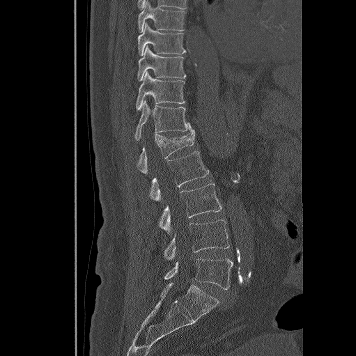
CT. sagittal view. Bone window (WL 400, WW 1800)
Box edges are left/top/right/bottom in pixels. The labeled vertebrae in this slice are: T8 at left=138, top=0, right=186, bottom=32, T9 at left=138, top=22, right=185, bottom=55, T10 at left=137, top=45, right=186, bottom=81, T11 at left=136, top=71, right=184, bottom=110, T12 at left=135, top=101, right=193, bottom=141, L1 at left=136, top=130, right=194, bottom=173, L2 at left=150, top=151, right=209, bottom=201, L3 at left=158, top=183, right=221, bottom=234, L4 at left=164, top=219, right=229, bottom=259, L5 at left=164, top=258, right=232, bottom=289.